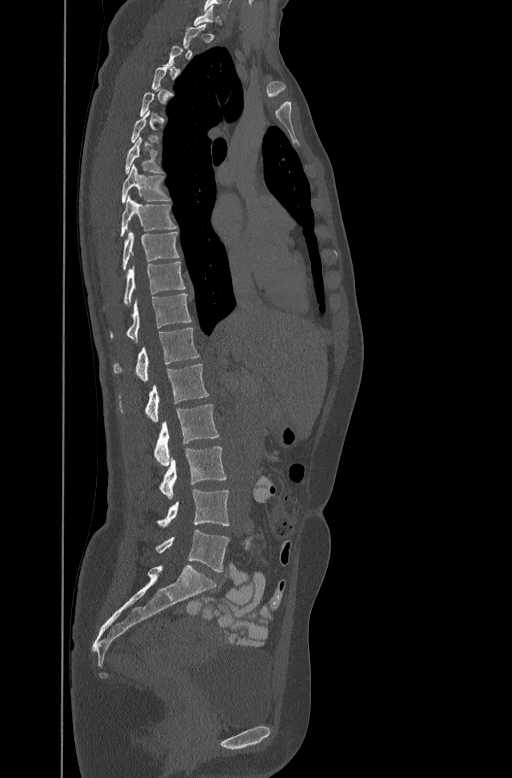
Computed tomography of the spine · sagittal view
Not every vertebra on this slice has a box: a vertebra is boxed only from the first to the last slice where its cross-section is at least a third of its largest, and this slice is outside that range for at least one of them.
<vertebrae><v name="C7" x1="194" y1="6" x2="225" y2="25"/><v name="T6" x1="125" y1="136" x2="162" y2="173"/><v name="T7" x1="121" y1="163" x2="170" y2="201"/><v name="T8" x1="120" y1="194" x2="176" y2="234"/><v name="T9" x1="122" y1="229" x2="179" y2="268"/><v name="T10" x1="124" y1="261" x2="186" y2="303"/><v name="T11" x1="111" y1="293" x2="191" y2="340"/><v name="T12" x1="113" y1="326" x2="198" y2="380"/><v name="L1" x1="145" y1="363" x2="209" y2="423"/><v name="L2" x1="153" y1="404" x2="219" y2="465"/><v name="L3" x1="160" y1="446" x2="226" y2="499"/><v name="L4" x1="157" y1="489" x2="229" y2="528"/><v name="L5" x1="156" y1="530" x2="229" y2="571"/></vertebrae>